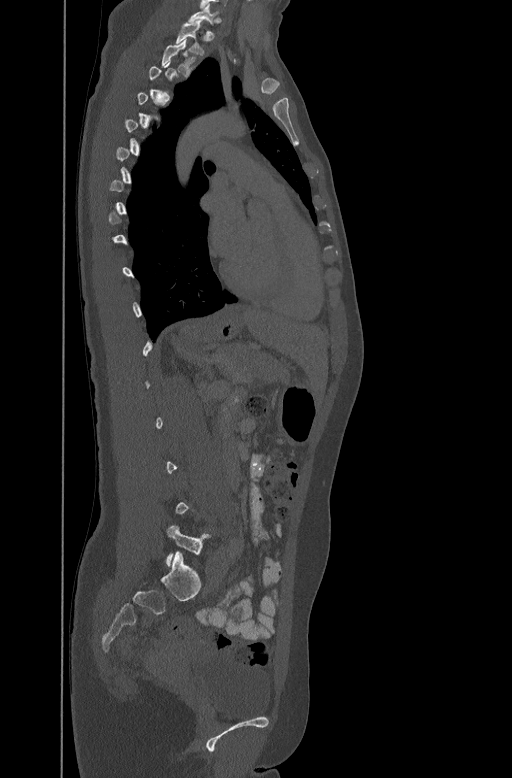
CT — sagittal view — W/L 1800/400 HU — 512x778 px

Each box given as x1,y1,x2,y2.
A vertebra gets a box only on the slices from the first to the last where its cross-section is at least a third of its largest; on a slice outside that range it gets none.
C7: x1=189, y1=3, x2=221, y2=23
T1: x1=175, y1=23, x2=204, y2=54
T2: x1=161, y1=38, x2=194, y2=75
L5: x1=166, y1=525, x2=211, y2=567